CT spine. sagittal plane, index 247
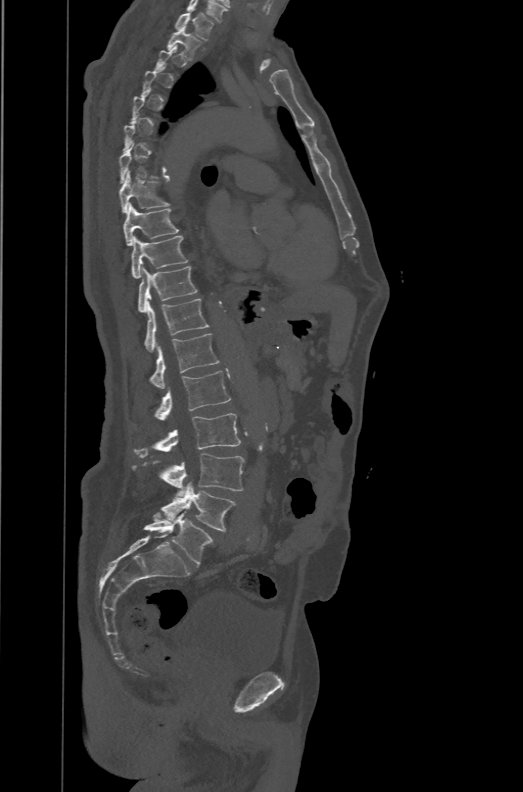
Boxes: x1:y1:x2:y2 in pixels.
A vertebra gets a box only on the slices from the first to the last where its cross-section is at least a third of its largest; on a slice outside that range it gets none.
Labels in this scan begin with T1 at the top and end with L6 at the bottom.
The labels name a sixth lumbar vertebra for this spine: L6, after L5.
Vertebra bounding boxes:
- T1: 175:12:214:40
- T2: 167:26:201:59
- T8: 119:171:169:213
- T9: 123:203:179:245
- T10: 131:235:188:278
- T11: 138:265:196:314
- T12: 144:299:209:352
- L1: 150:333:219:388
- L2: 154:371:230:420
- L3: 134:413:240:458
- L4: 134:453:244:497
- L5: 161:482:237:531
- L6: 143:512:213:564